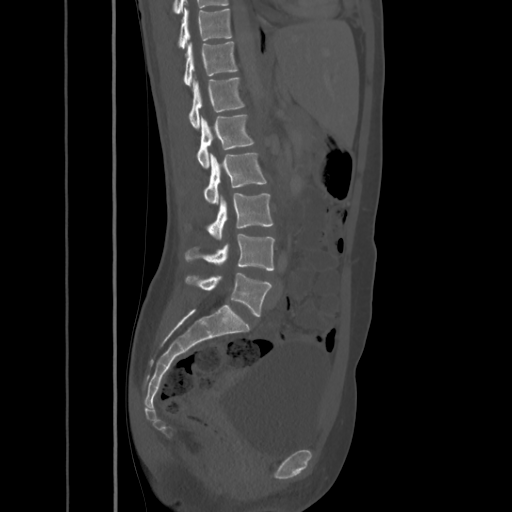
CT. sagittal view. W/L 1800/400 HU. 512x512 px
Box values are [left, top, right, bottom] in pixels.
{"vertebrae":{"T10":[178,7,232,48],"T11":[183,41,238,86],"T12":[189,76,244,128],"L1":[196,115,253,168],"L2":[204,152,267,204],"L3":[207,193,273,239],"L4":[184,234,274,270],"L5":[186,272,271,316]}}